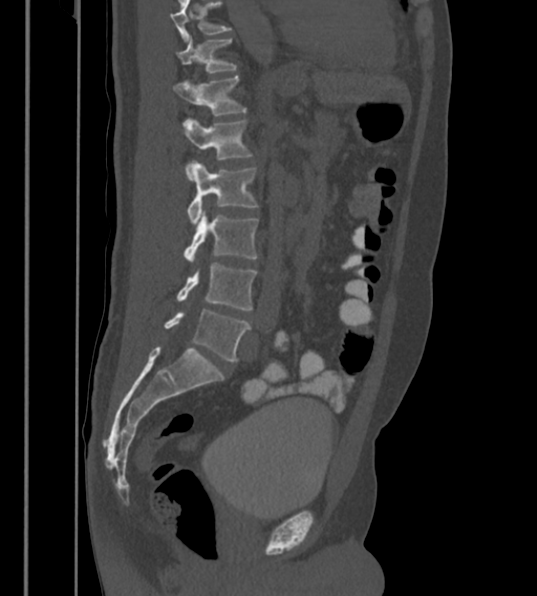

CT spine · sagittal view · bone-window reconstruction
Boxes below are [x1, y1, x2, y2] in pixels.
In this scan, the topmost labeled vertebra is T12 and the lowest is L6.
These labels give the spine a sixth lumbar vertebra, L6, below L5.
{"vertebrae":{"T12":[176,39,236,73],"L1":[172,75,245,115],"L2":[181,119,252,180],"L3":[188,161,256,225],"L4":[184,210,258,263],"L5":[177,264,256,310],"L6":[165,309,250,361]}}